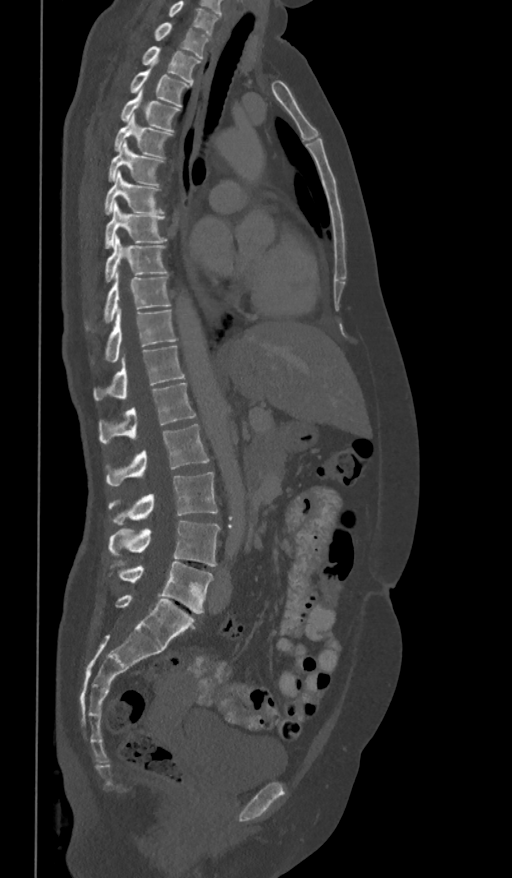

Spine CT · sagittal view · 512x878 px. In the table, x1 and y1 are a box's top-left corner and x2 and y2 its bottom-right corner, in pixels.
The highest labeled vertebra in this scan is T1; the lowest is L5.
| vertebra | x1 | y1 | x2 | y2 |
|---|---|---|---|---|
| L5 | 112 | 560 | 213 | 613 |
| L4 | 108 | 521 | 220 | 566 |
| L3 | 108 | 471 | 217 | 524 |
| L2 | 106 | 425 | 209 | 485 |
| L1 | 99 | 382 | 196 | 443 |
| T12 | 93 | 345 | 185 | 401 |
| T11 | 92 | 310 | 177 | 363 |
| T10 | 85 | 272 | 170 | 330 |
| T9 | 105 | 235 | 168 | 281 |
| T8 | 105 | 202 | 168 | 249 |
| T7 | 103 | 171 | 163 | 213 |
| T6 | 108 | 140 | 163 | 185 |
| T5 | 113 | 115 | 172 | 157 |
| T4 | 120 | 89 | 180 | 132 |
| T3 | 129 | 69 | 189 | 106 |
| T2 | 142 | 46 | 200 | 83 |
| T1 | 154 | 22 | 210 | 58 |